Computed tomography of the spine — Sagittal slice 223/512 — Bone window (WL 400, WW 1800) — image width 430 mm
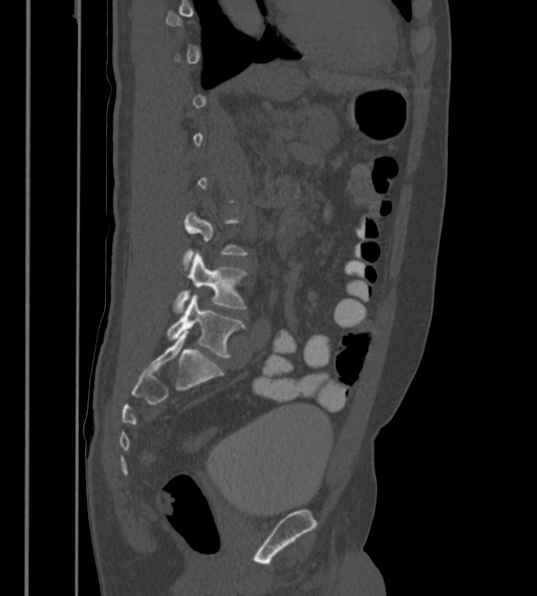

Box values are [left, top, right, bottom] in pixels.
Not every vertebra on this slice has a box: a vertebra is boxed only from the first to the last slice where its cross-section is at least a third of its largest, and this slice is outside that range for at least one of them.
In these labels the spine has an L6, a sixth lumbar vertebra below L5.
{"vertebrae":{"L6":[167,295,244,358],"L5":[174,252,245,313]}}